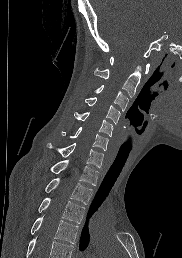 CT, spine; image width 182 mm; sagittal view; bone window

A vertebra cut off by the bottom edge of the scan is not labeled and has no box.
<vertebrae><v name="C1" x1="109" y1="57" x2="149" y2="73"/><v name="C2" x1="94" y1="65" x2="141" y2="97"/><v name="C3" x1="94" y1="85" x2="128" y2="110"/><v name="C4" x1="85" y1="97" x2="120" y2="123"/><v name="C5" x1="74" y1="112" x2="113" y2="136"/><v name="C6" x1="62" y1="127" x2="108" y2="150"/><v name="C7" x1="47" y1="143" x2="103" y2="167"/><v name="T1" x1="50" y1="159" x2="98" y2="185"/><v name="T2" x1="44" y1="177" x2="92" y2="204"/><v name="T3" x1="38" y1="197" x2="84" y2="223"/><v name="T4" x1="31" y1="217" x2="78" y2="243"/></vertebrae>